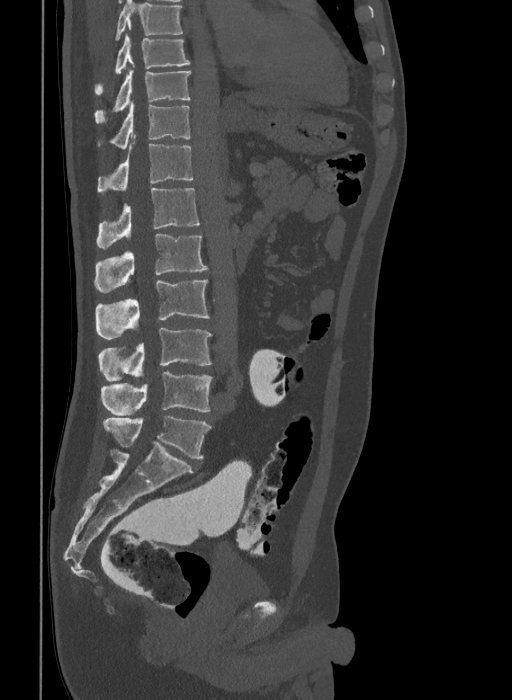

CT — sagittal view — Bone window (WL 400, WW 1800)

Each vertebra maps to its box as [x1, y1, x2, y2], the pixel coordinates of its top-left and bottom-right corners.
Labels in this scan begin with T9 at the top and end with L6 at the bottom.
These labels give the spine a sixth lumbar vertebra, L6, below L5.
{"vertebrae":{"T9":[95,34,190,94],"T10":[95,70,190,123],"T11":[99,101,190,148],"T12":[98,135,193,192],"L1":[96,188,199,248],"L2":[94,234,208,292],"L3":[95,279,209,339],"L4":[98,328,212,381],"L5":[101,372,212,415],"L6":[103,416,210,459]}}